CT spine. sagittal reformat. 16 vertebrae labeled in this scan. 394 mm image width
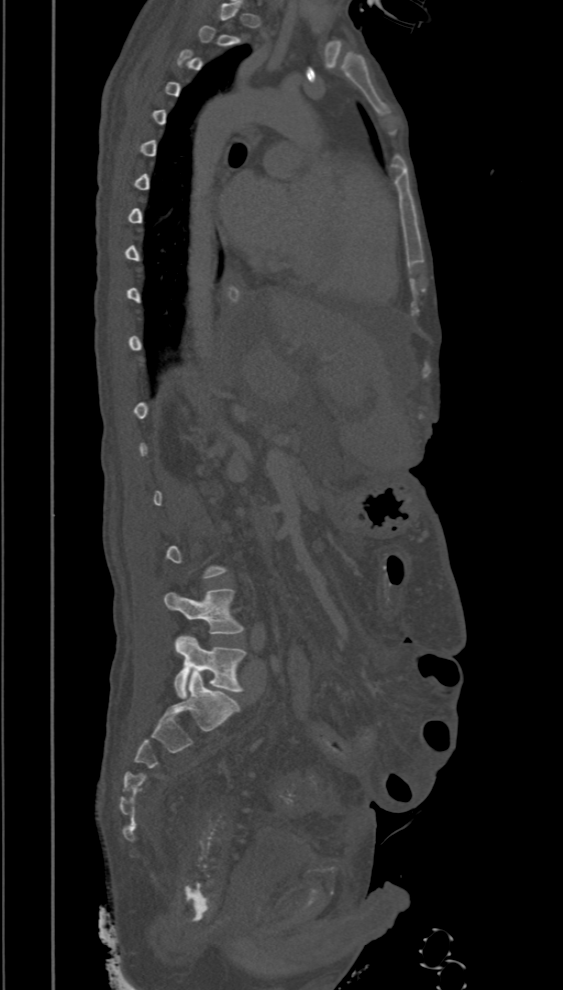
Not every vertebra on this slice has a box: a vertebra is boxed only from the first to the last slice where its cross-section is at least a third of its largest, and this slice is outside that range for at least one of them.
<vertebrae><v name="L4" x1="164" y1="589" x2="244" y2="634"/><v name="L5" x1="174" y1="635" x2="247" y2="698"/></vertebrae>